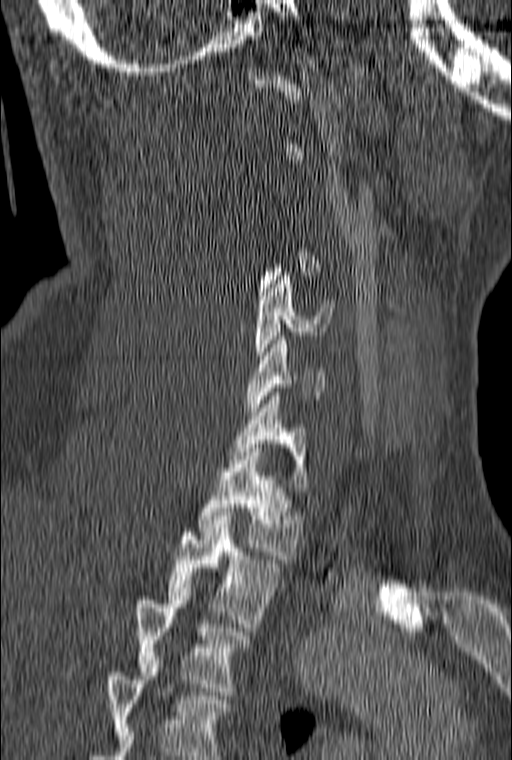 Spine CT · sagittal view · the image is 160 mm wide
Boxes below are [x1, y1, x2, y2] in pixels.
Not every vertebra on this slice has a box: a vertebra is boxed only from the first to the last slice where its cross-section is at least a third of its largest, and this slice is outside that range for at least one of them.
The highest labeled vertebra in this scan is C1; the lowest is T3.
{"vertebrae":{"C5":[254,272,334,367],"C6":[247,336,324,411],"C7":[227,392,308,491],"T1":[196,444,302,559],"T2":[168,520,282,627],"T3":[136,588,250,695]}}